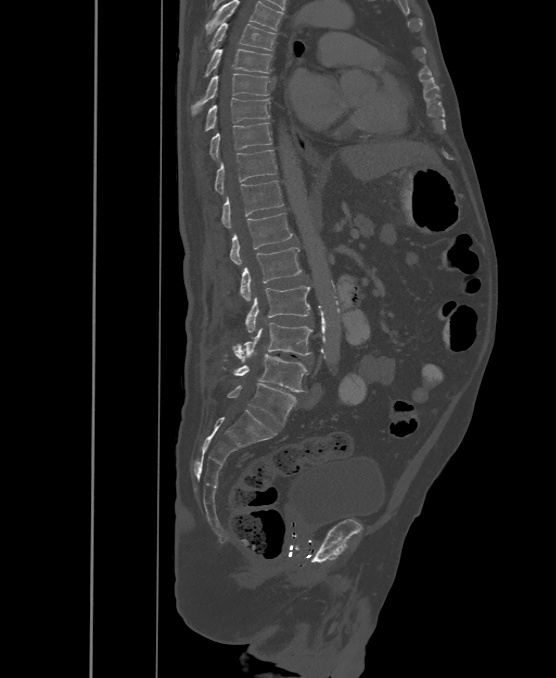 CT, spine. sagittal view. 500 mm wide. W/L 1800/400 HU. 556x678 px
The highest labeled vertebra in this scan is T6; the lowest is L6.
The labels name a sixth lumbar vertebra for this spine: L6, after L5.
<vertebrae><v name="T6" x1="212" y1="23" x2="275" y2="50"/><v name="T7" x1="204" y1="48" x2="271" y2="76"/><v name="T8" x1="192" y1="74" x2="269" y2="114"/><v name="T9" x1="205" y1="98" x2="269" y2="130"/><v name="T10" x1="211" y1="123" x2="271" y2="158"/><v name="T11" x1="215" y1="150" x2="276" y2="194"/><v name="T12" x1="221" y1="180" x2="283" y2="227"/><v name="L1" x1="230" y1="213" x2="292" y2="265"/><v name="L2" x1="240" y1="248" x2="302" y2="302"/><v name="L3" x1="245" y1="286" x2="310" y2="333"/><v name="L4" x1="232" y1="323" x2="313" y2="358"/><v name="L5" x1="233" y1="346" x2="308" y2="392"/><v name="L6" x1="228" y1="383" x2="295" y2="425"/></vertebrae>